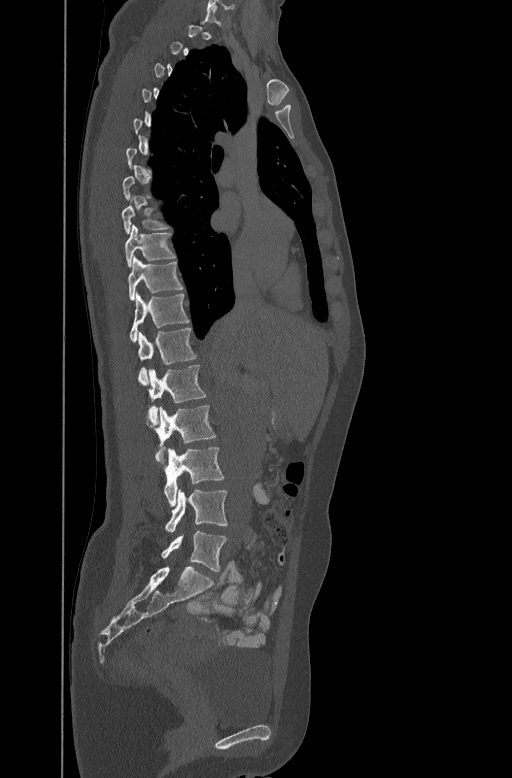 CT spine; sagittal view; bone-window reconstruction; 512x778 px
A vertebra gets a box only on the slices from the first to the last where its cross-section is at least a third of its largest; on a slice outside that range it gets none.
<vertebrae><v name="L5" x1="160" y1="531" x2="227" y2="571"/><v name="L4" x1="165" y1="489" x2="227" y2="532"/><v name="L3" x1="164" y1="447" x2="223" y2="506"/><v name="L2" x1="156" y1="405" x2="215" y2="458"/><v name="L1" x1="148" y1="364" x2="206" y2="421"/><v name="T12" x1="137" y1="327" x2="196" y2="384"/><v name="T11" x1="129" y1="292" x2="189" y2="341"/><v name="T10" x1="128" y1="256" x2="182" y2="299"/><v name="T9" x1="125" y1="223" x2="175" y2="266"/></vertebrae>